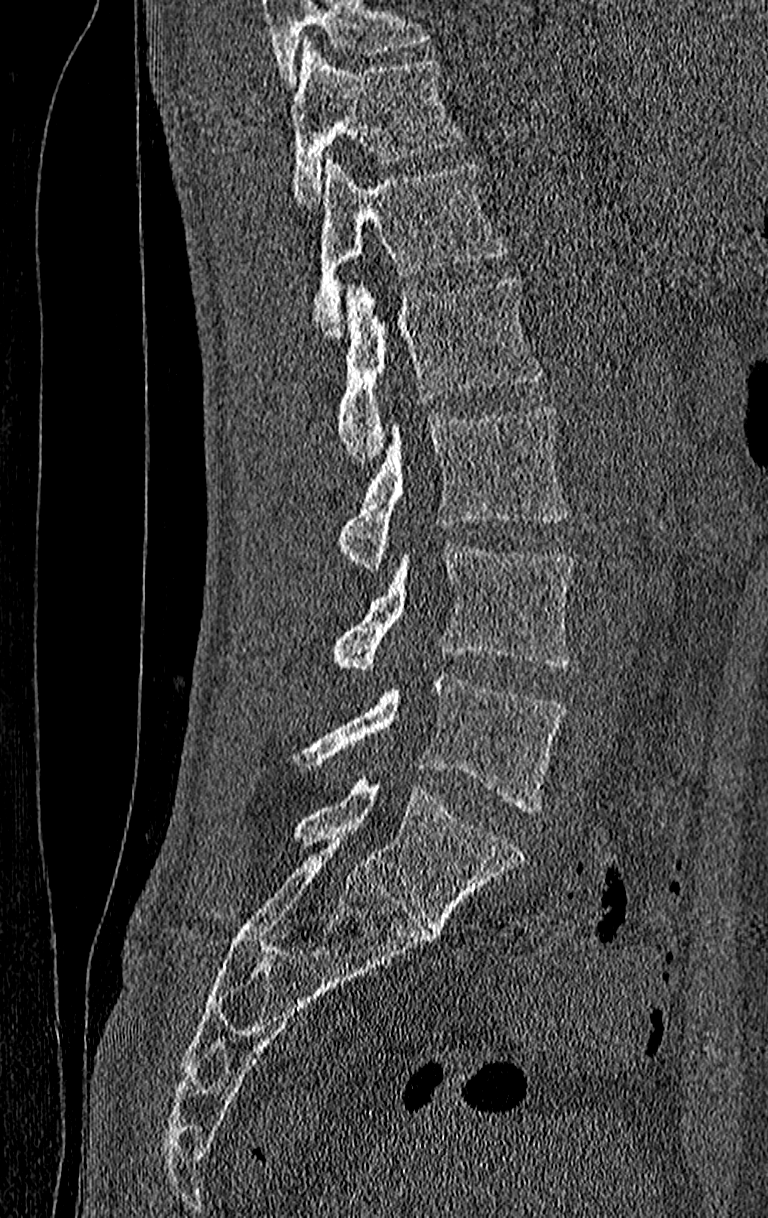

Spine CT — sagittal reformat — bone window
Coordinates as <box>x1,y1,x2,y2</box>.
Where the top of the scan cuts through a vertebra, that vertebra gets no label or box.
Labels in this scan begin with T11 at the top and end with L4 at the bottom.
T11: <box>291,41,462,205</box>
T12: <box>313,158,506,336</box>
L1: <box>335,275,543,465</box>
L2: <box>339,406,565,570</box>
L3: <box>331,541,575,672</box>
L4: <box>299,673,565,812</box>